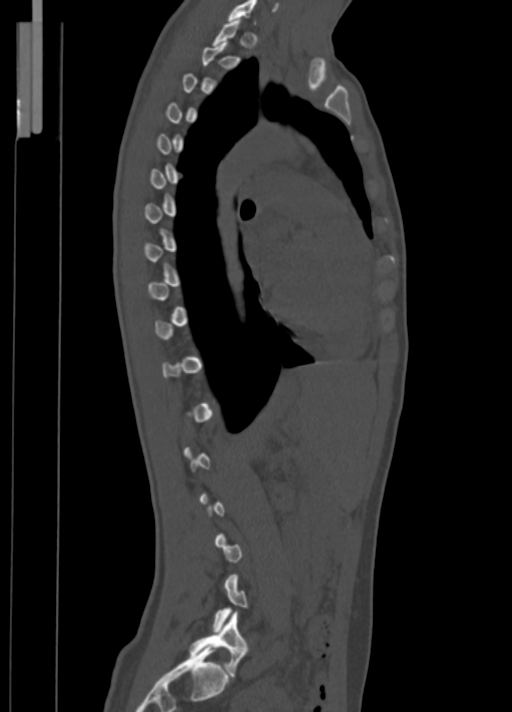

Spine CT · sagittal view. Boxes are (x1, y1, x2, y2) in pixels. Each vertebra is boxed only on the slices from the first to the last where its cross-section reaches a third of its largest, so a slice outside that range leaves it unboxed. Vertebrae labeled: C7 at (228, 0, 256, 22), L5 at (190, 611, 246, 676).